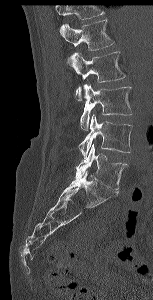

Spine CT; sagittal reformat; Bone window (WL 400, WW 1800); 153 mm image width
Boxes are (x1, y1, x2, y2) in pixels. A vertebra cut off by the top edge of the scan is not labeled and has no box. The labeled vertebrae in this slice are: L1 at (60, 19, 114, 60), L2 at (71, 51, 125, 101), L3 at (80, 84, 132, 130), L4 at (79, 113, 132, 157), L5 at (75, 144, 127, 192).